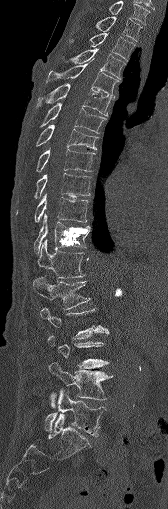

Spine CT; sagittal view; 168x509 px
<vertebrae><v name="C7" x1="91" y1="1" x2="150" y2="24"/><v name="T1" x1="96" y1="17" x2="141" y2="41"/><v name="T2" x1="69" y1="33" x2="134" y2="59"/><v name="T3" x1="72" y1="49" x2="125" y2="77"/><v name="T4" x1="46" y1="59" x2="118" y2="96"/><v name="T5" x1="36" y1="84" x2="112" y2="116"/><v name="T6" x1="40" y1="103" x2="106" y2="133"/><v name="T7" x1="35" y1="124" x2="97" y2="149"/><v name="T8" x1="36" y1="149" x2="94" y2="171"/><v name="T9" x1="34" y1="173" x2="90" y2="198"/><v name="T10" x1="34" y1="195" x2="88" y2="222"/><v name="T11" x1="33" y1="214" x2="90" y2="253"/><v name="T12" x1="37" y1="239" x2="84" y2="278"/><v name="L1" x1="33" y1="277" x2="90" y2="308"/><v name="L2" x1="40" y1="307" x2="108" y2="338"/><v name="L3" x1="48" y1="334" x2="108" y2="367"/><v name="L4" x1="49" y1="362" x2="112" y2="406"/><v name="L5" x1="44" y1="389" x2="106" y2="436"/></vertebrae>